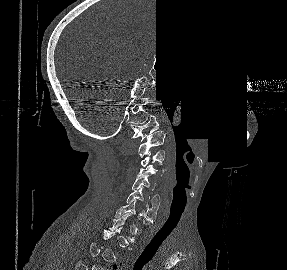

Computed tomography of the spine. 287 mm image width. sagittal view. 287x270 px. a region is blanked to uniform black, ending in a straight edge

A vertebra gets a box only on the slices from the first to the last where its cross-section is at least a third of its largest; on a slice outside that range it gets none.
<vertebrae><v name="C1" x1="130" y1="115" x2="158" y2="141"/><v name="C2" x1="138" y1="131" x2="165" y2="157"/><v name="C3" x1="141" y1="150" x2="165" y2="166"/><v name="C4" x1="137" y1="163" x2="166" y2="176"/><v name="C5" x1="132" y1="174" x2="159" y2="204"/><v name="C6" x1="126" y1="187" x2="158" y2="219"/><v name="C7" x1="114" y1="199" x2="154" y2="223"/></vertebrae>